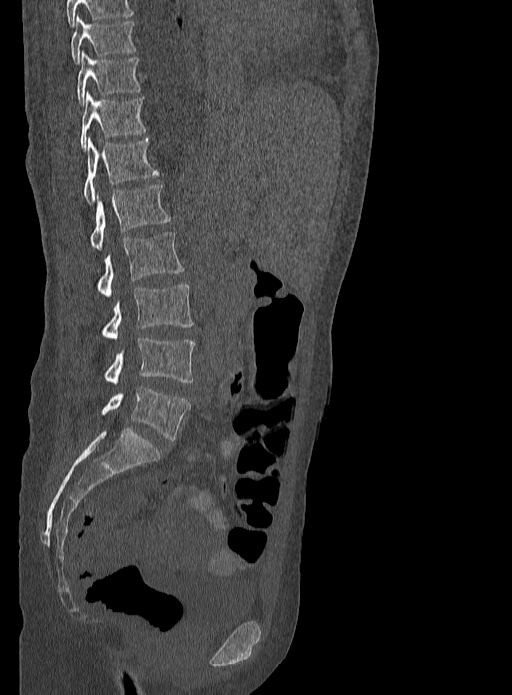
Spine computed tomography. sagittal view. bone-window reconstruction. 512x695 px

Each vertebra maps to its box as [x1, y1, x2, y2], the pixel coordinates of its top-left and bottom-right corners.
Labels in this scan begin with T9 at the top and end with L5 at the bottom.
{"vertebrae":{"T9":[70,17,136,64],"T10":[77,52,142,105],"T11":[80,92,146,150],"T12":[83,138,159,203],"L1":[90,185,171,248],"L2":[67,232,185,297],"L3":[101,284,192,339],"L4":[104,337,196,383],"L5":[101,386,191,440]}}